Spine computed tomography · Sagittal slice 58/127 · 576x576 px · scan covers 10 annotated vertebrae
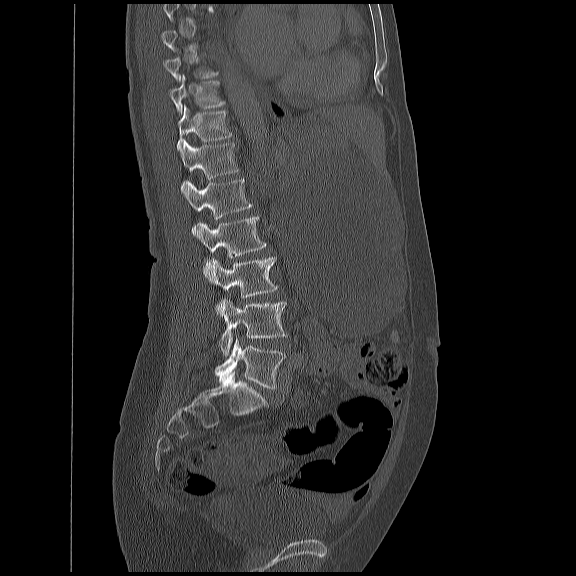 Box edges are left/top/right/bottom in pixels. Each vertebra is boxed only on the slices from the first to the last where its cross-section reaches a third of its largest, so a slice outside that range leaves it unboxed. The labeled vertebrae in this slice are: L5 at left=215, top=337, right=284, bottom=388, L4 at left=216, top=299, right=286, bottom=355, L3 at left=208, top=255, right=276, bottom=298, L2 at left=194, top=215, right=265, bottom=275, L1 at left=183, top=177, right=252, bottom=234, T12 at left=180, top=139, right=238, bottom=192, T11 at left=176, top=105, right=230, bottom=151, T10 at left=169, top=74, right=224, bottom=113, T9 at left=162, top=56, right=217, bottom=81.